CT, spine; Sagittal slice 87/187; 187x269 px; 7 vertebrae labeled in this scan
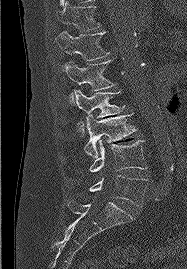 <vertebrae><v name="L5" x1="89" y1="175" x2="146" y2="207"/><v name="L4" x1="89" y1="140" x2="147" y2="172"/><v name="L3" x1="84" y1="112" x2="135" y2="157"/><v name="L2" x1="74" y1="90" x2="124" y2="136"/><v name="L1" x1="64" y1="60" x2="115" y2="105"/><v name="T12" x1="55" y1="31" x2="109" y2="66"/><v name="T11" x1="57" y1="0" x2="100" y2="31"/></vertebrae>